CT. sagittal plane, index 431. W/L 1800/400 HU. 768x1012 px
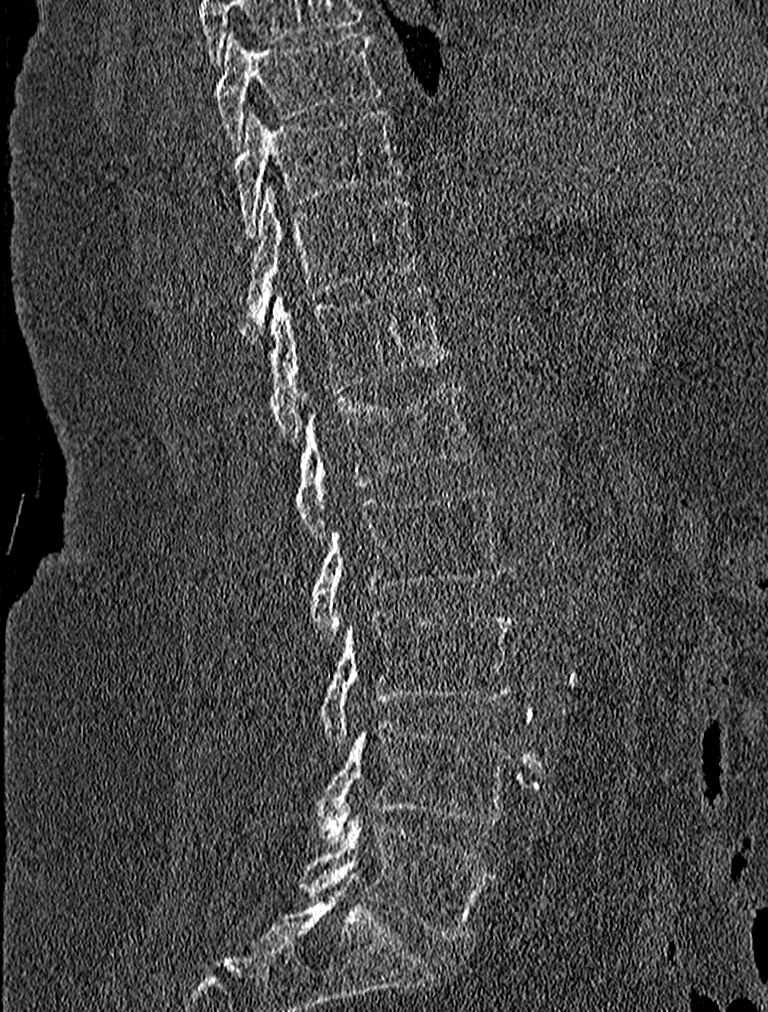
Box edges are left/top/right/bottom in pixels. 9 vertebrae labeled — L5 at left=300, top=810, right=492, bottom=941; L4 at left=309, top=719, right=513, bottom=839; L3 at left=320, top=611, right=515, bottom=742; L2 at left=310, top=487, right=505, bottom=640; L1 at left=297, top=379, right=478, bottom=539; T12 at left=252, top=285, right=448, bottom=441; T11 at left=230, top=187, right=417, bottom=323; T10 at left=232, top=108, right=400, bottom=237; T9 at left=215, top=30, right=380, bottom=148.